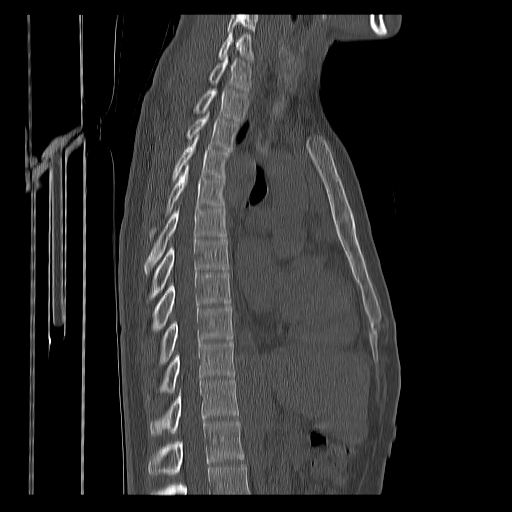
Computed tomography of the spine — sagittal view — bone-window reconstruction — 512x512 px. Boxes are (x1, y1, x2, y2) in pixels.
Where the bottom of the scan cuts through a vertebra, that vertebra gets no label or box.
Labels in this scan begin with C7 at the top and end with T12 at the bottom.
Vertebra bounding boxes:
- C7: (218, 32, 253, 61)
- T1: (209, 56, 251, 91)
- T2: (195, 88, 247, 121)
- T3: (187, 113, 237, 150)
- T4: (172, 135, 230, 181)
- T5: (150, 164, 224, 239)
- T6: (145, 206, 226, 273)
- T7: (149, 238, 228, 300)
- T8: (152, 272, 231, 331)
- T9: (159, 306, 232, 364)
- T10: (147, 339, 235, 400)
- T11: (150, 379, 239, 436)
- T12: (149, 420, 244, 475)